CT spine; sagittal plane, index 405; bone window
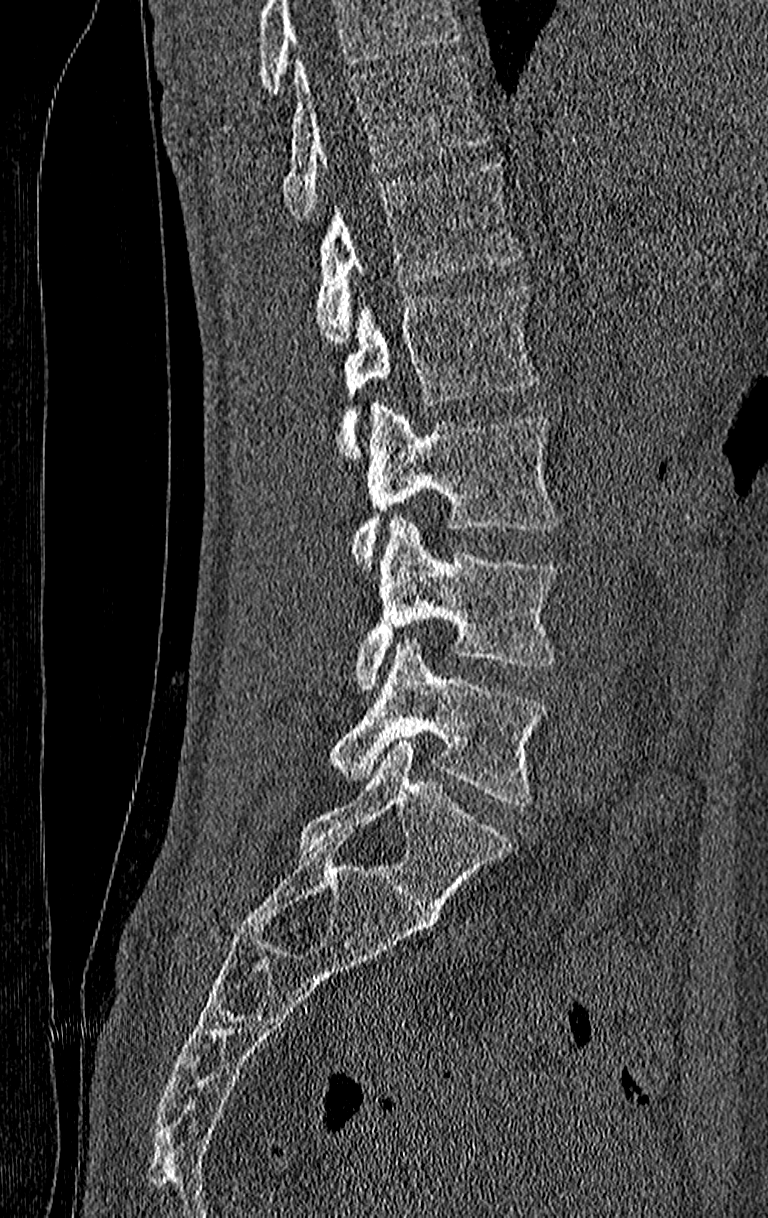
No box is given to a vertebra that the top edge of the scan cuts off.
Labels in this scan begin with T11 at the top and end with L4 at the bottom.
<vertebrae><v name="L4" x1="328" y1="640" x2="546" y2="804"/><v name="L3" x1="353" y1="517" x2="557" y2="692"/><v name="L2" x1="350" y1="406" x2="561" y2="567"/><v name="L1" x1="335" y1="286" x2="539" y2="461"/><v name="T12" x1="313" y1="158" x2="521" y2="343"/><v name="T11" x1="284" y1="56" x2="488" y2="220"/></vertebrae>